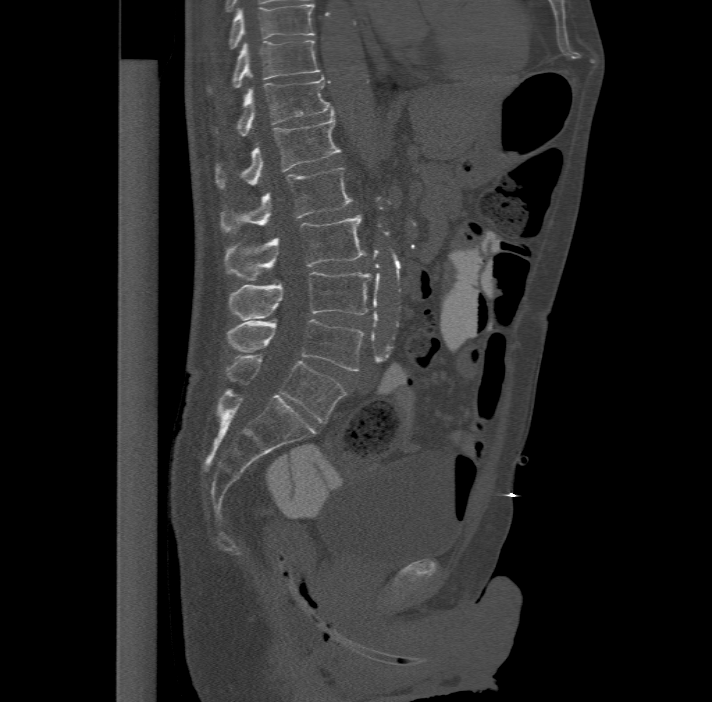 Spine CT. sagittal view
Each vertebra maps to its box as [x1, y1, x2, y2], the pixel coordinates of its top-left and bottom-right corners.
This scan's labels start at T11 at the top and end at L6 at the bottom.
The labels name a sixth lumbar vertebra for this spine: L6, after L5.
{"vertebrae":{"L6":[225,354,345,422],"L5":[227,318,363,370],"L4":[228,271,372,318],"L3":[224,215,366,279],"L2":[221,167,352,233],"L1":[216,112,341,188],"T12":[213,73,333,135],"T11":[207,39,320,93]}}